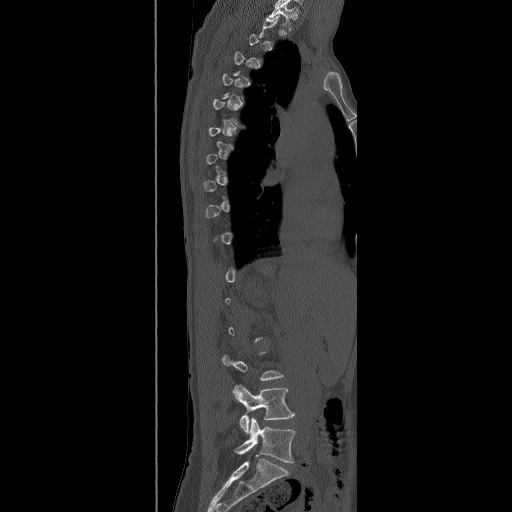
CT spine. sagittal view. the image is 490 mm wide. bone-window reconstruction
Boxes: x1:y1:x2:y2 in pixels.
A vertebra is boxed only from the first to the last slice where its cross-section is at least a third of its largest; slices outside that range leave it without a box.
L5: 234:418:295:462
L4: 233:384:295:433